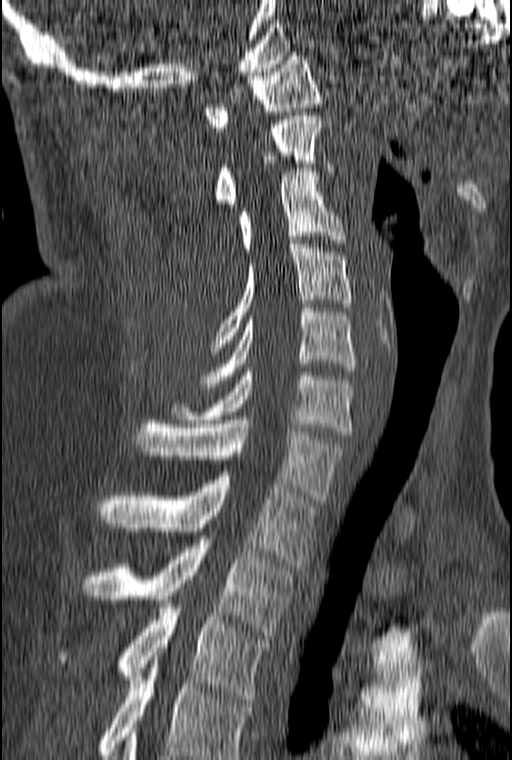

CT, spine · sagittal reformat · the image spans 160 mm across · W/L 1800/400 HU
Box edges are left/top/right/bottom in pixels.
In this scan, the topmost labeled vertebra is C1 and the lowest is T3.
C1: left=205, top=52, right=322, bottom=131
C2: left=215, top=112, right=333, bottom=207
C3: left=238, top=168, right=346, bottom=255
C4: left=209, top=244, right=352, bottom=355
C5: left=201, top=308, right=355, bottom=387
C6: left=172, top=368, right=352, bottom=435
C7: left=136, top=420, right=346, bottom=503
T1: left=97, top=476, right=316, bottom=567
T2: left=81, top=536, right=291, bottom=635
T3: left=57, top=604, right=269, bottom=703